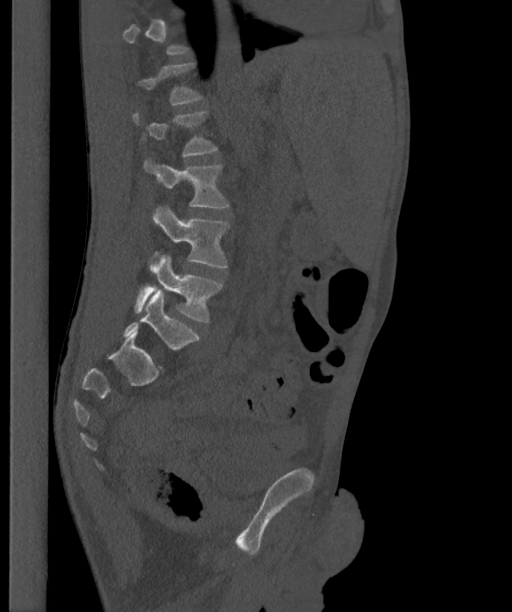

Spine CT; 363 mm image width; sagittal view; 512x612 px

Each row gives a vertebra's box as x1, y1, x2, y2 in pixels: top-left corner, then bottom-right corner.
Each vertebra is boxed only on the slices from the first to the last where its cross-section reaches a third of its largest, so a slice outside that range leaves it unboxed.
The labels name a sixth lumbar vertebra for this spine: L6, after L5.
| vertebra | x1 | y1 | x2 | y2 |
|---|---|---|---|---|
| L6 | 123 | 289 | 199 | 348 |
| L5 | 134 | 255 | 222 | 321 |
| L4 | 152 | 206 | 229 | 268 |
| L3 | 143 | 159 | 229 | 207 |
| L2 | 132 | 112 | 217 | 156 |